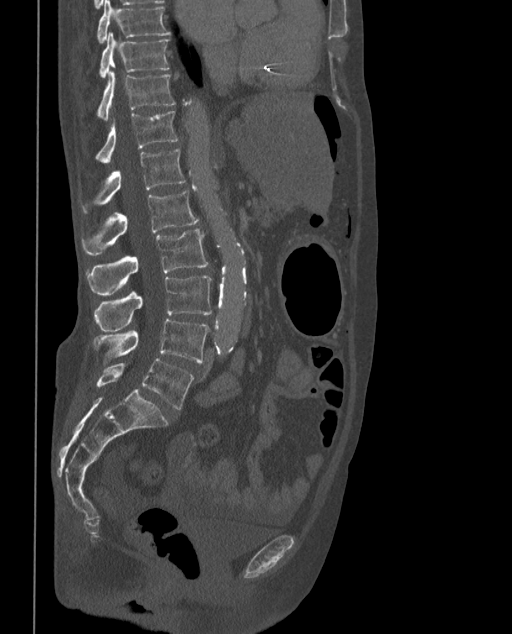 Spine computed tomography — sagittal view — bone-window reconstruction — 373 mm image width — 512x634 px

In these labels the spine has an L6, a sixth lumbar vertebra below L5.
<vertebrae><v name="T9" x1="96" y1="0" x2="170" y2="42"/><v name="T10" x1="99" y1="32" x2="169" y2="78"/><v name="T11" x1="96" y1="72" x2="175" y2="120"/><v name="T12" x1="95" y1="111" x2="177" y2="162"/><v name="L1" x1="81" y1="149" x2="185" y2="213"/><v name="L2" x1="81" y1="190" x2="198" y2="256"/><v name="L3" x1="86" y1="229" x2="207" y2="295"/><v name="L4" x1="95" y1="275" x2="212" y2="331"/><v name="L5" x1="93" y1="319" x2="209" y2="362"/><v name="L6" x1="96" y1="358" x2="194" y2="409"/></vertebrae>